Spine CT. sagittal reformat. Bone window (WL 400, WW 1800). 512x757 px. 11 vertebrae labeled in this scan
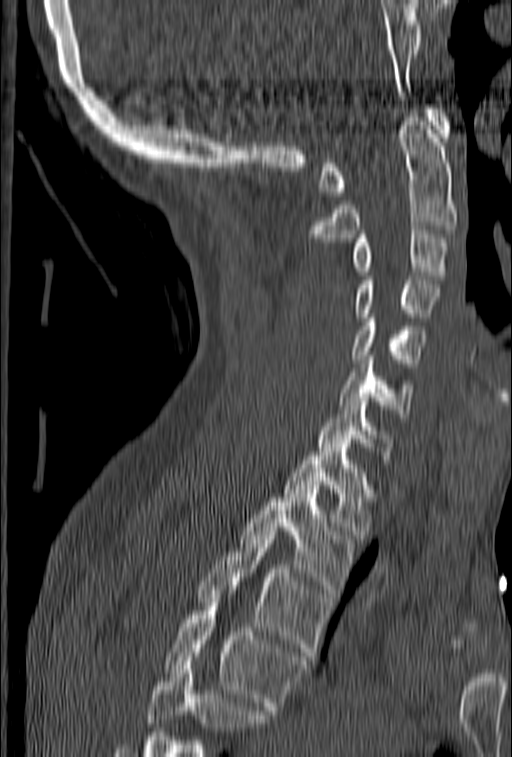

Boxes are (x1, y1, x2, y2) in pixels.
A vertebra cut off by the bottom edge of the scan is not labeled and has no box.
Vertebra bounding boxes:
- C1: (319, 105, 452, 196)
- C2: (307, 109, 457, 242)
- C3: (352, 230, 449, 279)
- C4: (356, 276, 439, 317)
- C5: (352, 310, 425, 367)
- C6: (339, 356, 414, 417)
- C7: (319, 393, 392, 459)
- T1: (282, 448, 371, 539)
- T2: (240, 485, 356, 597)
- T3: (197, 531, 331, 660)
- T4: (162, 598, 307, 714)